Spine computed tomography. Sagittal slice 245/512. bone window. 512x905 px
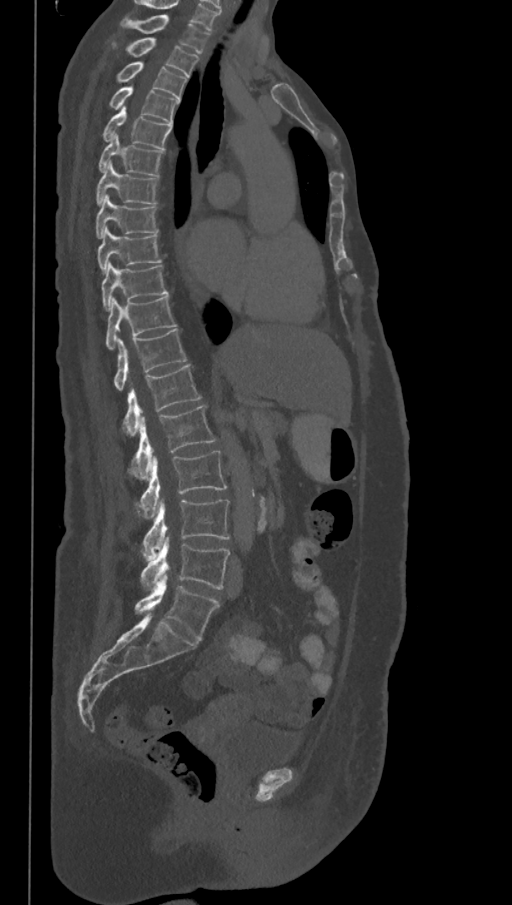

Each vertebra maps to its box as [x1, y1, x2, y2], the pixel coordinates of its top-left and bottom-right corners.
Labels in this scan begin with T1 at the top and end with L6 at the bottom.
The labels name a sixth lumbar vertebra for this spine: L6, after L5.
{"vertebrae":{"L6":[135,575,219,640],"L5":[140,537,230,590],"L4":[142,500,230,560],"L3":[137,451,227,517],"L2":[129,406,216,480],"L1":[122,364,201,437],"T12":[114,329,187,390],"T11":[106,296,175,350],"T10":[101,262,167,311],"T9":[97,228,160,273],"T8":[96,194,157,238],"T7":[96,162,157,204],"T6":[99,135,163,176],"T5":[103,106,171,149],"T4":[108,86,180,124],"T3":[117,61,187,99],"T2":[126,38,198,77],"T1":[121,15,209,53]}}